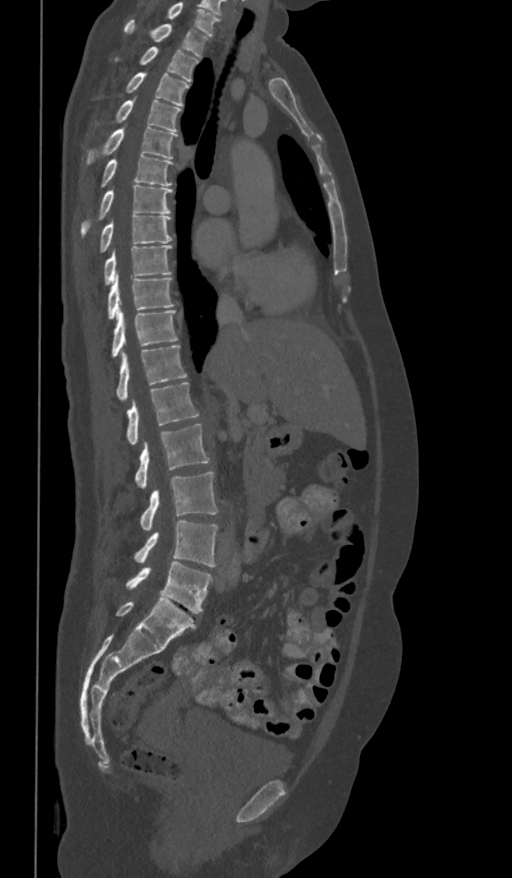
Spine computed tomography. sagittal view
Boxes are (x1, y1, x2, y2) in pixels. The highest labeled vertebra in this scan is T1; the lowest is L5. The labeled vertebrae in this slice are: T1 at (125, 19, 209, 58), T2 at (116, 47, 199, 82), T3 at (126, 73, 189, 106), T4 at (98, 100, 182, 132), T5 at (86, 126, 177, 164), T6 at (102, 154, 173, 187), T7 at (81, 185, 172, 236), T8 at (99, 214, 172, 252), T9 at (103, 246, 172, 285), T10 at (108, 274, 173, 318), T11 at (112, 310, 177, 356), T12 at (116, 345, 186, 401), L1 at (126, 382, 199, 444), L2 at (135, 423, 209, 489), L3 at (140, 471, 217, 531), L4 at (135, 520, 217, 567), L5 at (126, 562, 212, 613).